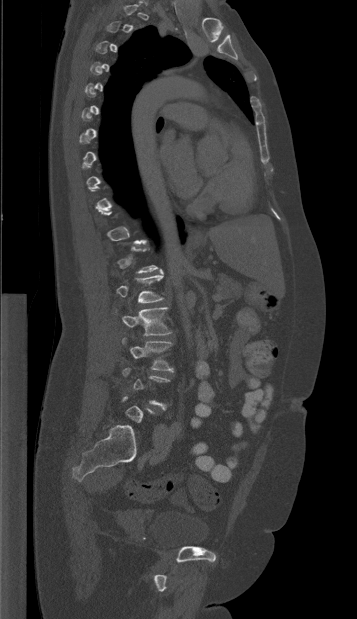 Computed tomography of the spine · sagittal view · bone window · 357x619 px
Bounding boxes as [x1, y1, x2, y2] in pixel coordinates. Not every vertebra on this slice has a box: a vertebra is boxed only from the first to the last slice where its cross-section is at least a third of its largest, and this slice is outside that range for at least one of them. Vertebrae labeled: L3 at [122, 338, 173, 371], L2 at [115, 307, 172, 335], L1 at [116, 269, 164, 302].